Spine computed tomography — 447 mm across the image — sagittal reformat — bone-window reconstruction — 18 vertebrae labeled in this scan
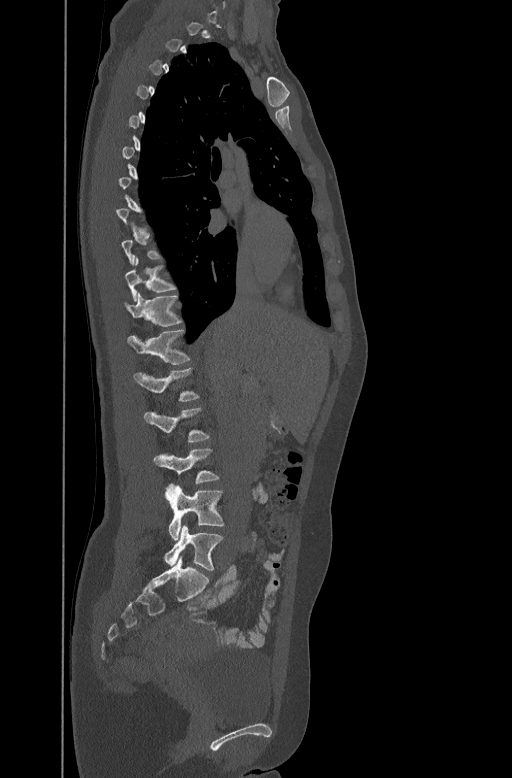

Coordinates as <box>x1,y1,x2,y2</box>.
Not every vertebra on this slice has a box: a vertebra is boxed only from the first to the last slice where its cross-section is at least a third of its largest, and this slice is outside that range for at least one of them.
Vertebra bounding boxes:
- T10: <box>125,256,175,299</box>
- T11: <box>125,291,182,325</box>
- T12: <box>127,328,190,363</box>
- L1: <box>134,366,199,402</box>
- L2: <box>144,407,210,441</box>
- L3: <box>153,448,219,482</box>
- L4: <box>168,486,223,539</box>
- L5: <box>164,525,223,570</box>